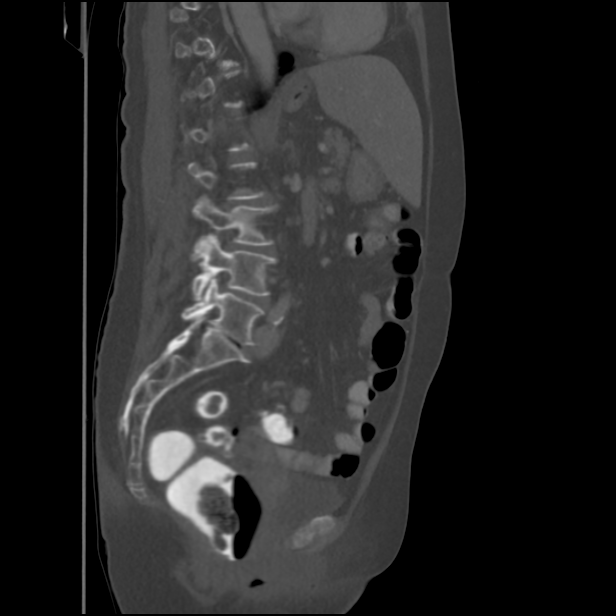

Spine CT — sagittal reformat — 434 mm across the image

A vertebra gets a box only on the slices from the first to the last where its cross-section is at least a third of its largest; on a slice outside that range it gets none.
<vertebrae><v name="L3" x1="192" y1="196" x2="275" y2="245"/><v name="L4" x1="192" y1="236" x2="276" y2="300"/><v name="L5" x1="182" y1="276" x2="263" y2="344"/></vertebrae>